CT; sagittal reformat; 11 vertebrae labeled in this scan
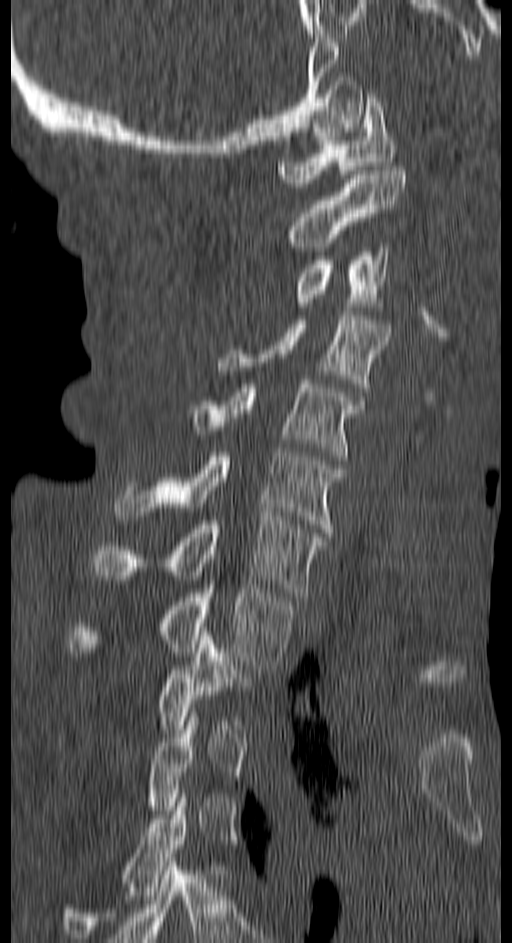
Boxes below are [x1, y1, x2, y2] in pixels.
Not every vertebra on this slice has a box: a vertebra is boxed only from the first to the last slice where its cross-section is at least a third of its largest, and this slice is outside that range for at least one of them.
{"vertebrae":{"T4":[62,789,188,942],"T2":[158,636,243,729],"T1":[69,585,290,669],"C7":[90,516,324,596],"C6":[114,452,342,532],"C5":[185,380,364,460],"C4":[218,311,390,392],"C3":[295,243,389,306],"C2":[288,166,406,251],"C1":[278,94,396,187]}}